Spine computed tomography · sagittal reformat · Bone window (WL 400, WW 1800) · 555x689 px
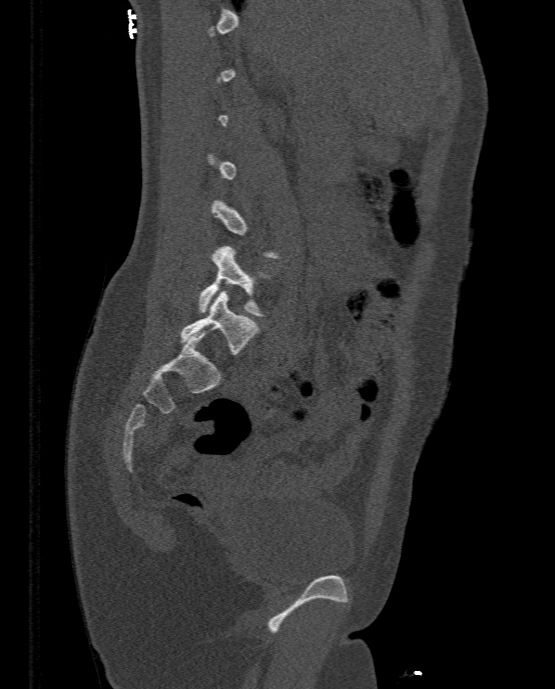

Boxes: x1:y1:x2:y2 in pixels.
A vertebra is boxed only from the first to the last slice where its cross-section is at least a third of its largest; slices outside that range leave it without a box.
Vertebra bounding boxes:
- L4: 198:245:263:315
- L5: 180:290:257:354